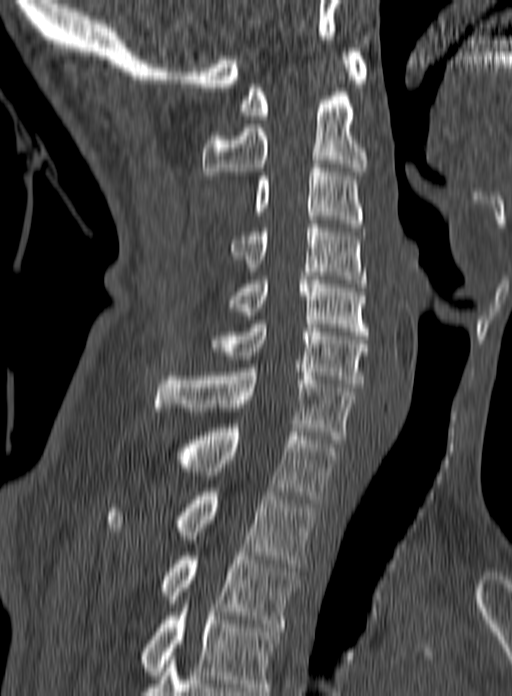
CT; sagittal view; W/L 1800/400 HU; 512x696 px. Boxes: x1:y1:x2:y2 in pixels.
In this scan, the topmost labeled vertebra is C1 and the lowest is T3.
C1: 240:48:368:119
C2: 203:72:368:179
C3: 254:164:362:227
C4: 230:224:367:287
C5: 227:280:368:335
C6: 209:320:368:387
C7: 155:368:355:443
T1: 180:428:337:503
T2: 106:492:317:567
T3: 161:552:300:627